Computed tomography of the spine; Sagittal slice 229/512; bone-window reconstruction; 18 vertebrae labeled in this scan
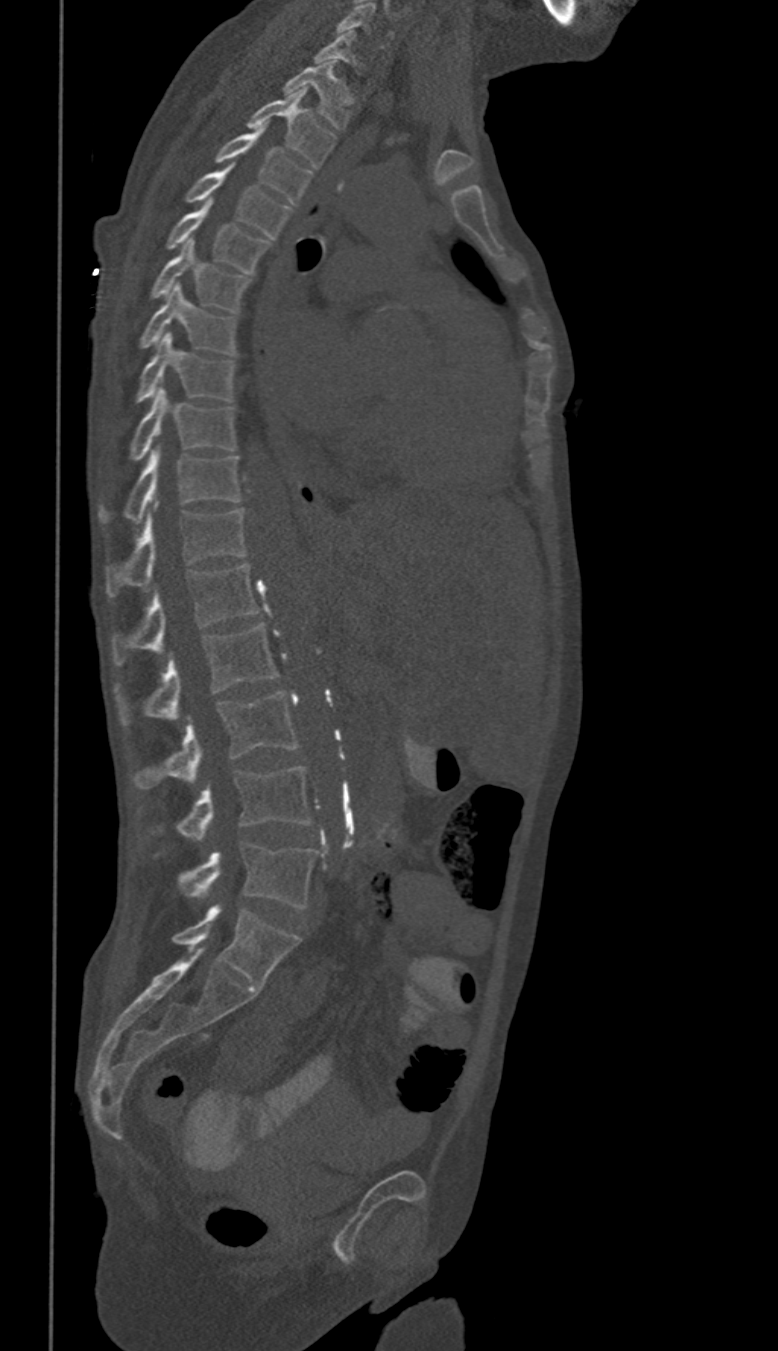

These labels give this spine no T12: after T11 the next vertebra is L1.
<vertebrae><v name="C6" x1="336" y1="3" x2="392" y2="48"/><v name="C7" x1="313" y1="31" x2="361" y2="73"/><v name="T1" x1="283" y1="63" x2="351" y2="131"/><v name="T2" x1="246" y1="89" x2="335" y2="168"/><v name="T3" x1="216" y1="132" x2="312" y2="204"/><v name="T4" x1="184" y1="167" x2="289" y2="239"/><v name="T5" x1="166" y1="200" x2="269" y2="273"/><v name="T6" x1="149" y1="240" x2="253" y2="311"/><v name="T7" x1="137" y1="285" x2="236" y2="355"/><v name="T8" x1="135" y1="334" x2="236" y2="404"/><v name="T9" x1="129" y1="389" x2="236" y2="462"/><v name="T10" x1="100" y1="449" x2="241" y2="522"/><v name="T11" x1="106" y1="509" x2="245" y2="597"/><v name="L1" x1="111" y1="563" x2="256" y2="664"/><v name="L2" x1="115" y1="623" x2="279" y2="726"/><v name="L3" x1="131" y1="692" x2="298" y2="788"/><v name="L4" x1="137" y1="767" x2="310" y2="839"/><v name="L5" x1="153" y1="843" x2="316" y2="908"/></vertebrae>